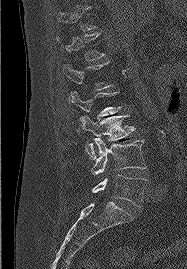 CT · sagittal view

Each box is [x1, y1, x2, y2] in pixels: top-left corner, then bottom-right corner.
Not every vertebra on this slice has a box: a vertebra is boxed only from the first to the last slice where its cross-section is at least a third of its largest, and this slice is outside that range for at least one of them.
{"vertebrae":{"T12":[56,33,104,60],"L2":[70,91,120,132],"L3":[80,116,134,159],"L4":[90,138,146,178],"L5":[92,174,146,207]}}